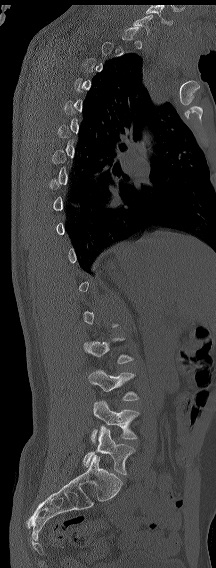
Spine CT — sagittal view — Bone window (WL 400, WW 1800) — the image spans 216 mm across
Each box given as x1,y1,x2,y2.
Not every vertebra on this slice has a box: a vertebra is boxed only from the first to the last slice where its cross-section is at least a third of its largest, and this slice is outside that range for at least one of them.
In these labels the spine has an L6, a sixth lumbar vertebra below L5.
L4: x1=88, y1=369, x2=139, y2=400
L5: x1=91, y1=400, x2=139, y2=443
L6: x1=83, y1=425, x2=135, y2=475